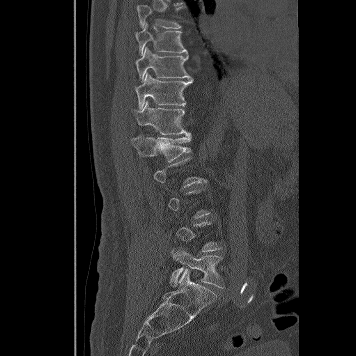 Spine CT · 356 mm wide · sagittal view. Boxes are given in columns x1, y1, x2, y2, the pixel coordinates of their top-left and bottom-right corners.
Each vertebra is boxed only on the slices from the first to the last where its cross-section reaches a third of its largest, so a slice outside that range leaves it unboxed.
| vertebra | x1 | y1 | x2 | y2 |
|---|---|---|---|---|
| T8 | 137 | 5 | 181 | 28 |
| T9 | 134 | 23 | 188 | 56 |
| T10 | 135 | 47 | 193 | 82 |
| T11 | 136 | 73 | 193 | 110 |
| T12 | 130 | 101 | 186 | 134 |
| L1 | 131 | 132 | 191 | 161 |
| L5 | 170 | 246 | 223 | 287 |